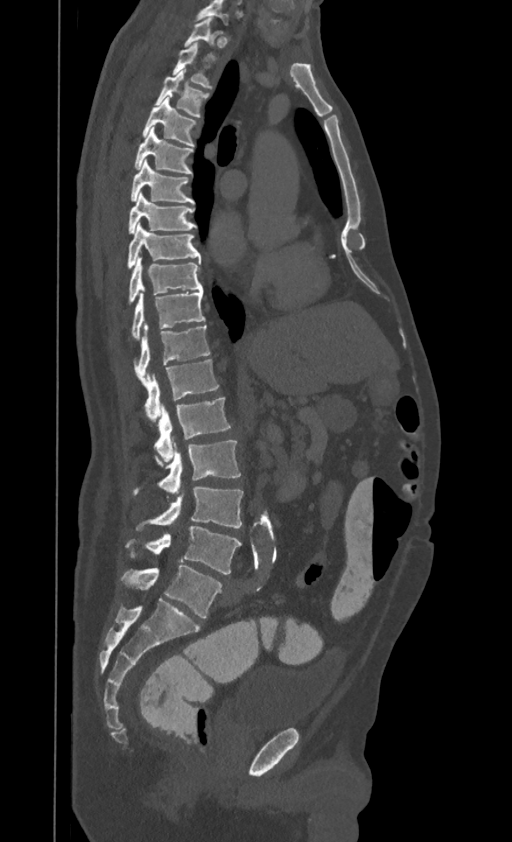

CT, spine. sagittal view. image width 395 mm. W/L 1800/400 HU. 512x842 px
Each box given as x1,y1,x2,y2.
Labels in this scan begin with T1 at the top and end with L4 at the bottom.
L4: x1=127, y1=526, x2=241, y2=574
L3: x1=136, y1=488, x2=243, y2=530
L2: x1=133, y1=440, x2=240, y2=494
L1: x1=154, y1=398, x2=230, y2=462
T12: x1=144, y1=359, x2=218, y2=421
T11: x1=135, y1=325, x2=210, y2=386
T10: x1=131, y1=292, x2=205, y2=340
T9: x1=128, y1=257, x2=202, y2=302
T8: x1=127, y1=223, x2=201, y2=268
T7: x1=128, y1=192, x2=196, y2=233
T6: x1=131, y1=160, x2=193, y2=203
T5: x1=135, y1=127, x2=192, y2=174
T4: x1=142, y1=97, x2=196, y2=147
T3: x1=155, y1=70, x2=208, y2=117
T2: x1=172, y1=43, x2=211, y2=89
T1: x1=184, y1=17, x2=221, y2=58